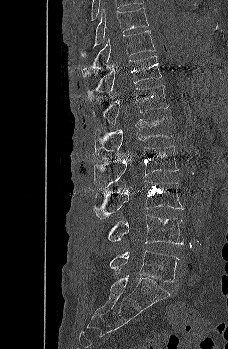

CT, spine; image width 228 mm; sagittal view; Bone window (WL 400, WW 1800)
<vertebrae><v name="T9" x1="81" y1="7" x2="148" y2="57"/><v name="T10" x1="81" y1="30" x2="155" y2="77"/><v name="T11" x1="87" y1="55" x2="161" y2="100"/><v name="T12" x1="92" y1="85" x2="168" y2="125"/><v name="L1" x1="94" y1="116" x2="174" y2="155"/><v name="L2" x1="94" y1="145" x2="178" y2="189"/><v name="L3" x1="93" y1="180" x2="183" y2="219"/><v name="L4" x1="107" y1="214" x2="183" y2="245"/><v name="L5" x1="109" y1="250" x2="179" y2="282"/></vertebrae>